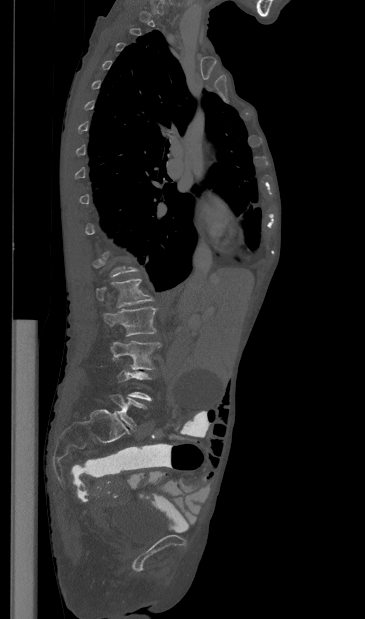 Computed tomography of the spine; sagittal view; 365 mm wide

Box edges are left/top/right/bottom in pixels. Each vertebra is boxed only on the slices from the first to the last where its cross-section reaches a third of its largest, so a slice outside that range leaves it unboxed. Vertebrae labeled: L3 at left=111, top=341, right=161, bottom=370, L2 at left=103, top=306, right=156, bottom=336, L1 at left=96, top=279, right=153, bottom=307.